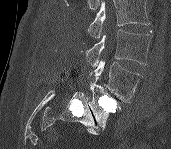 Spine CT. sagittal view. bone-window reconstruction
Where the top of the scan cuts through a vertebra, that vertebra gets no label or box.
<vertebrae><v name="L3" x1="86" y1="29" x2="151" y2="66"/><v name="L4" x1="89" y1="59" x2="142" y2="102"/><v name="L5" x1="89" y1="77" x2="120" y2="129"/></vertebrae>